Spine computed tomography · sagittal view
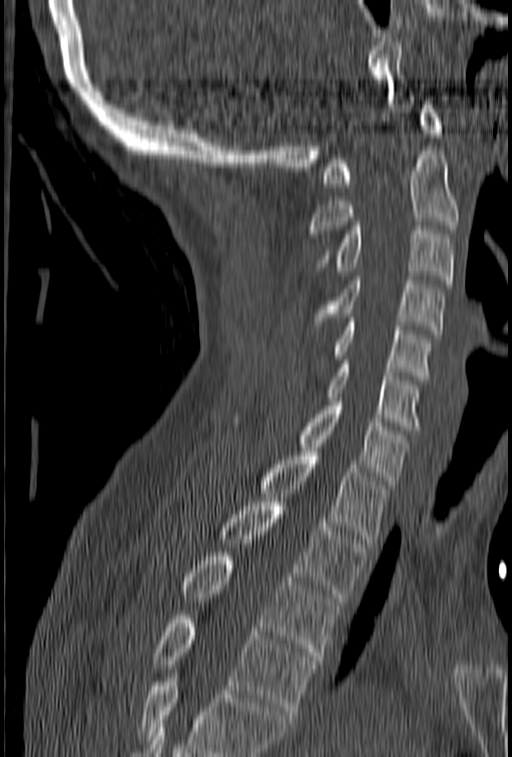 Boxes are (x1, y1, x2, y2) in pixels.
Vertebrae that run past the bottom of the scan are left unlabeled.
Vertebra bounding boxes:
- C1: (322, 105, 442, 187)
- C2: (308, 151, 459, 237)
- C3: (316, 226, 454, 283)
- C4: (313, 276, 445, 334)
- C5: (332, 314, 432, 380)
- C6: (325, 360, 422, 430)
- C7: (236, 397, 408, 488)
- T1: (259, 452, 388, 543)
- T2: (219, 502, 367, 601)
- T3: (182, 552, 338, 660)
- T4: (152, 615, 315, 714)